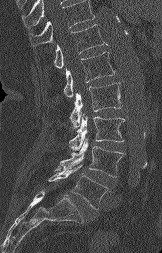
Spine computed tomography; sagittal view
Each box given as x1,y1,x2,y2. Vertebrae that run past the top of the scan are left unlabeled. 6 vertebrae labeled — T12 at x1=54, y1=24, x2=107, y2=68; L1 at x1=64, y1=51, x2=115, y2=97; L2 at x1=69, y1=82, x2=122, y2=128; L3 at x1=69, y1=113, x2=125, y2=150; L4 at x1=59, y1=138, x2=124, y2=177; L5 at x1=49, y1=165, x2=108, y2=209.